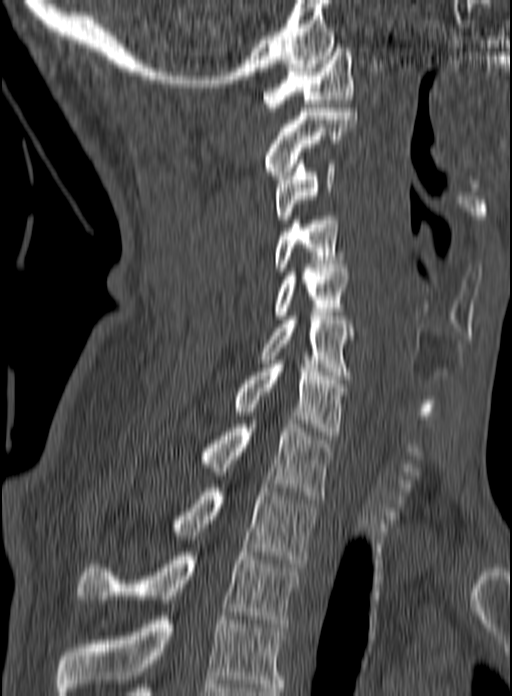
Spine computed tomography · the image spans 160 mm across · sagittal view · W/L 1800/400 HU. Bounding boxes as [x1, y1, x2, y2] in pixel coordinates.
The highest labeled vertebra in this scan is C1; the lowest is T3.
Vertebra bounding boxes:
- C1: [263, 48, 353, 111]
- C2: [264, 108, 357, 179]
- C3: [273, 160, 335, 223]
- C4: [275, 216, 345, 271]
- C5: [273, 264, 349, 319]
- C6: [257, 312, 355, 379]
- C7: [232, 360, 347, 435]
- T1: [200, 420, 333, 499]
- T2: [171, 488, 317, 567]
- T3: [78, 552, 301, 627]